Spine CT · 153 mm across the image · sagittal reformat · 512x757 px · 11 vertebrae labeled in this scan
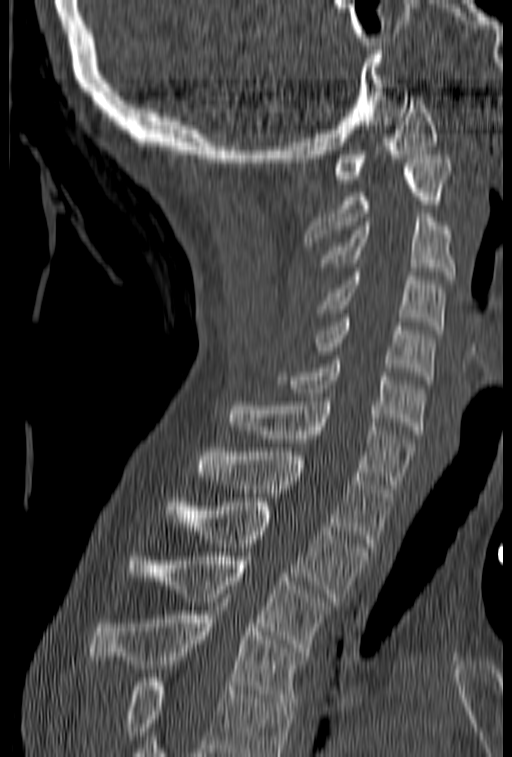 Where the bottom of the scan cuts through a vertebra, that vertebra gets no label or box.
<vertebrae><v name="T4" x1="88" y1="598" x2="309" y2="706"/><v name="T3" x1="128" y1="552" x2="335" y2="652"/><v name="T2" x1="165" y1="502" x2="368" y2="601"/><v name="T1" x1="198" y1="448" x2="392" y2="547"/><v name="C7" x1="225" y1="397" x2="415" y2="488"/><v name="C6" x1="277" y1="360" x2="425" y2="434"/><v name="C5" x1="310" y1="314" x2="435" y2="380"/><v name="C4" x1="316" y1="272" x2="445" y2="334"/><v name="C3" x1="318" y1="213" x2="455" y2="279"/><v name="C2" x1="305" y1="155" x2="452" y2="246"/><v name="C1" x1="333" y1="96" x2="437" y2="183"/></vertebrae>